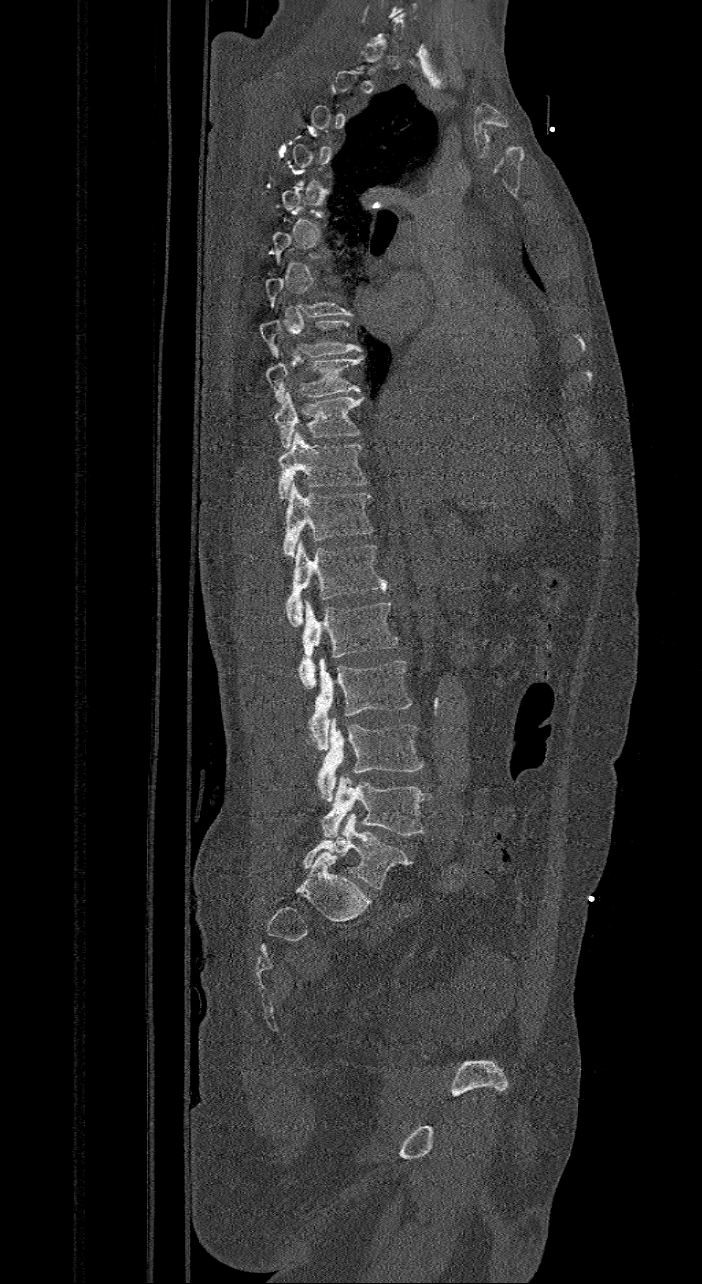 CT spine — sagittal reformat — 702x1284 px
Each vertebra maps to its box as [x1, y1, x2, y2], the pixel coordinates of its top-left and bottom-right corners.
Each vertebra is boxed only on the slices from the first to the last where its cross-section reaches a third of its largest, so a slice outside that range leaves it unboxed.
These labels give the spine a sixth lumbar vertebra, L6, below L5.
{"vertebrae":{"T8":[260,319,362,358],"T9":[264,355,364,403],"T10":[275,392,364,448],"T11":[278,430,368,498],"T12":[284,482,372,558],"L1":[286,540,387,627],"L2":[297,600,398,688],"L3":[304,658,412,750],"L4":[315,718,424,801],"L5":[322,774,431,837],"L6":[303,813,413,888]}}